CT; sagittal plane, index 238; 512x842 px
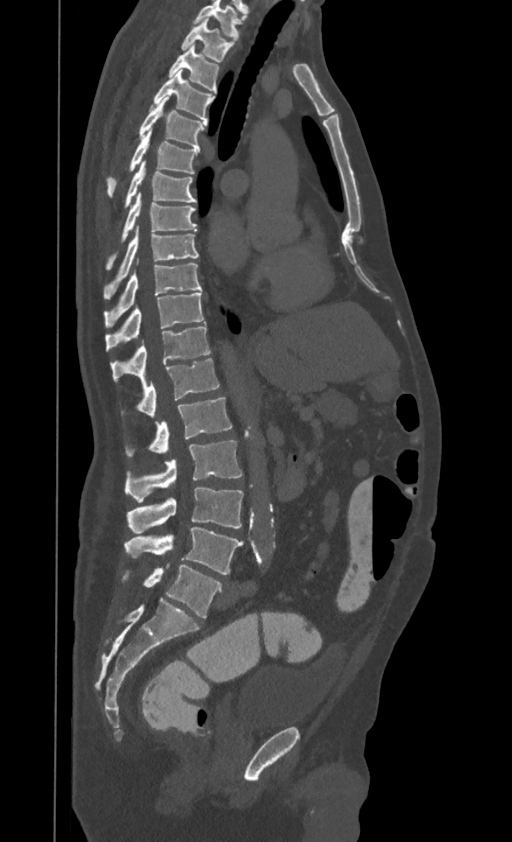

This scan's labels start at T1 at the top and end at L4 at the bottom.
<vertebrae><v name="T1" x1="181" y1="17" x2="233" y2="62"/><v name="T2" x1="168" y1="44" x2="219" y2="92"/><v name="T3" x1="150" y1="70" x2="214" y2="121"/><v name="T4" x1="139" y1="97" x2="206" y2="148"/><v name="T5" x1="106" y1="129" x2="200" y2="196"/><v name="T6" x1="124" y1="162" x2="196" y2="208"/><v name="T7" x1="106" y1="192" x2="196" y2="268"/><v name="T8" x1="104" y1="227" x2="198" y2="296"/><v name="T9" x1="104" y1="262" x2="201" y2="328"/><v name="T10" x1="105" y1="293" x2="204" y2="350"/><v name="T11" x1="110" y1="323" x2="210" y2="382"/><v name="T12" x1="120" y1="358" x2="219" y2="417"/><v name="L1" x1="126" y1="397" x2="232" y2="456"/><v name="L2" x1="124" y1="441" x2="241" y2="502"/><v name="L3" x1="127" y1="488" x2="243" y2="533"/><v name="L4" x1="124" y1="527" x2="243" y2="574"/></vertebrae>